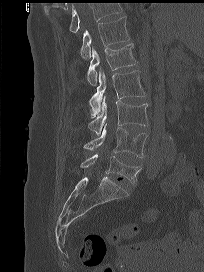
CT spine; sagittal reformat; 204x272 px; 204 mm wide
No box is given to a vertebra that the top edge of the scan cuts off.
<vertebrae><v name="T12" x1="80" y1="16" x2="129" y2="59"/><v name="L1" x1="87" y1="43" x2="137" y2="86"/><v name="L2" x1="89" y1="68" x2="146" y2="118"/><v name="L3" x1="88" y1="96" x2="148" y2="134"/><v name="L4" x1="83" y1="124" x2="147" y2="157"/><v name="L5" x1="80" y1="154" x2="141" y2="184"/></vertebrae>